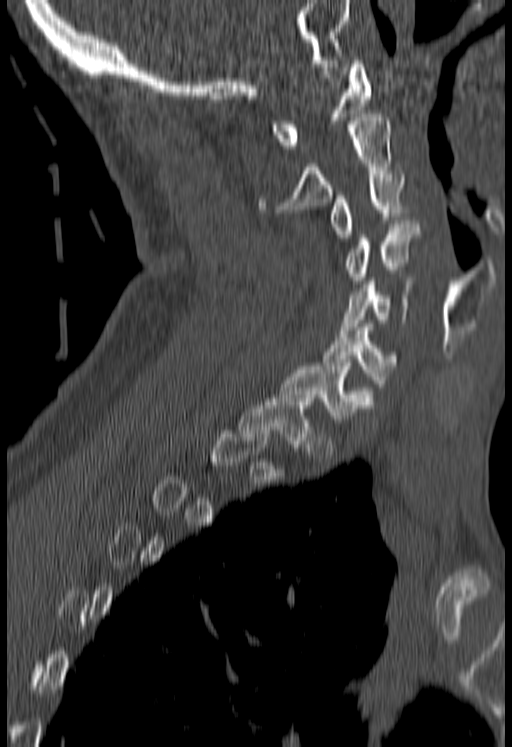
CT, spine. sagittal reformat. 180 mm across the image
Coordinates as <box>x1,y1,x2,y2</box>.
Not every vertebra on this slice has a box: a vertebra is boxed only from the first to the last slice where its cross-section is at least a third of its largest, and this slice is outside that range for at least one of them.
T1: <box>238,398,313,447</box>
C7: <box>277,366,374,422</box>
C6: <box>322,324,395,387</box>
C5: <box>339,281,408,333</box>
C4: <box>345,220,418,283</box>
C3: <box>331,174,404,241</box>
C2: <box>260,114,390,212</box>
C1: <box>271,60,370,148</box>